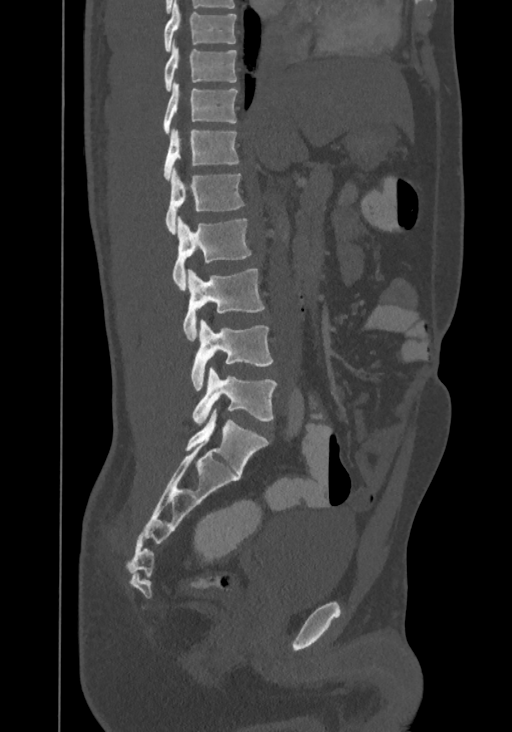
CT spine · sagittal view · bone window

Boxes: x1:y1:x2:y2 in pixels.
This scan's labels start at T8 at the top and end at L4 at the bottom.
Vertebra bounding boxes:
- L4: 192:367:276:426
- L3: 191:319:272:389
- L2: 183:269:264:341
- L1: 172:217:251:290
- T12: 165:167:244:234
- T11: 163:128:239:180
- T10: 163:82:237:135
- T9: 164:39:236:91
- T8: 163:0:236:52